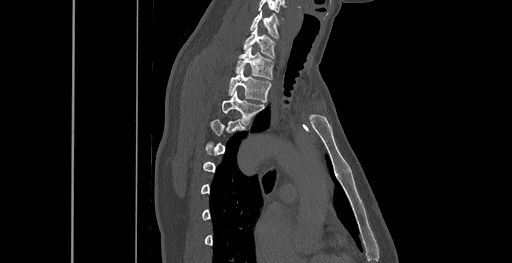
CT — sagittal view — bone window. Box edges are left/top/right/bottom in pixels.
Each vertebra is boxed only on the slices from the first to the last where its cross-section reaches a third of its largest, so a slice outside that range leaves it unboxed.
T3: left=222, top=91, right=264, bottom=123
T2: left=228, top=67, right=271, bottom=102
T1: left=236, top=46, right=273, bottom=79
C7: left=243, top=26, right=274, bottom=58
C6: left=250, top=11, right=278, bottom=38